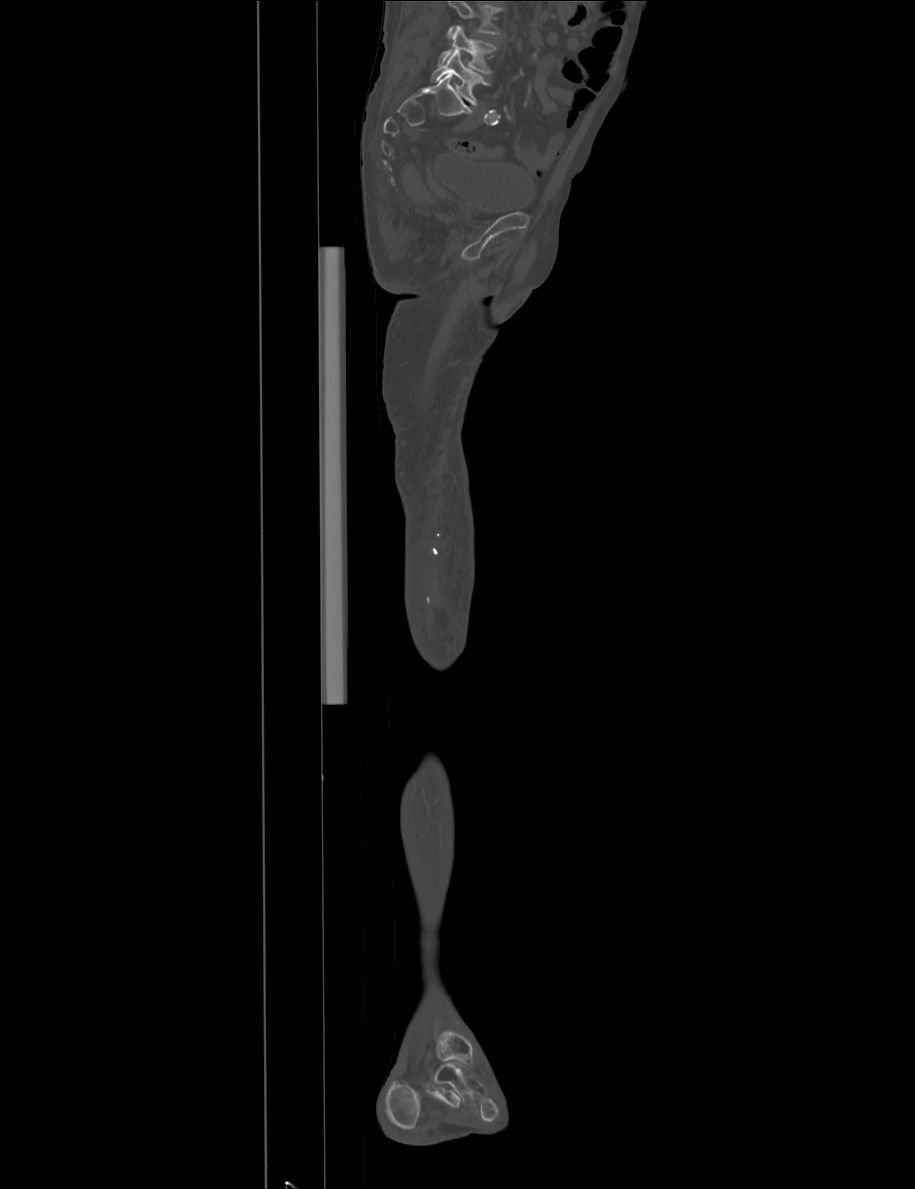
Computed tomography of the spine. sagittal view. W/L 1800/400 HU. 915x1189 px. Boxes: x1:y1:x2:y2 in pixels.
No box is given to a vertebra that the top edge of the scan cuts off.
L4: 438:25:496:73
L5: 430:49:490:104